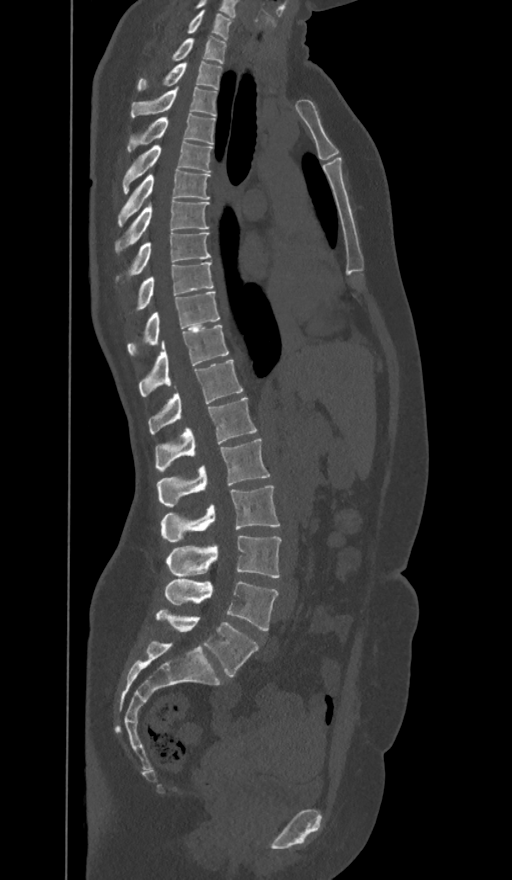

Spine CT — sagittal view — 512x880 px
In these labels the spine has an L6, a sixth lumbar vertebra below L5.
<vertebrae><v name="C7" x1="186" y1="11" x2="232" y2="38"/><v name="T1" x1="171" y1="37" x2="226" y2="63"/><v name="T2" x1="137" y1="62" x2="222" y2="90"/><v name="T3" x1="131" y1="87" x2="216" y2="117"/><v name="T4" x1="127" y1="113" x2="215" y2="152"/><v name="T5" x1="123" y1="140" x2="212" y2="192"/><v name="T6" x1="118" y1="169" x2="210" y2="226"/><v name="T7" x1="115" y1="201" x2="208" y2="253"/><v name="T8" x1="116" y1="233" x2="211" y2="282"/><v name="T9" x1="135" y1="262" x2="214" y2="311"/><v name="T10" x1="127" y1="291" x2="219" y2="356"/><v name="T11" x1="139" y1="325" x2="229" y2="396"/><v name="T12" x1="149" y1="360" x2="242" y2="434"/><v name="L1" x1="155" y1="397" x2="256" y2="472"/><v name="L2" x1="157" y1="439" x2="270" y2="507"/><v name="L3" x1="161" y1="485" x2="279" y2="542"/><v name="L4" x1="167" y1="536" x2="281" y2="578"/><v name="L5" x1="165" y1="579" x2="278" y2="630"/><v name="L6" x1="156" y1="610" x2="258" y2="677"/></vertebrae>